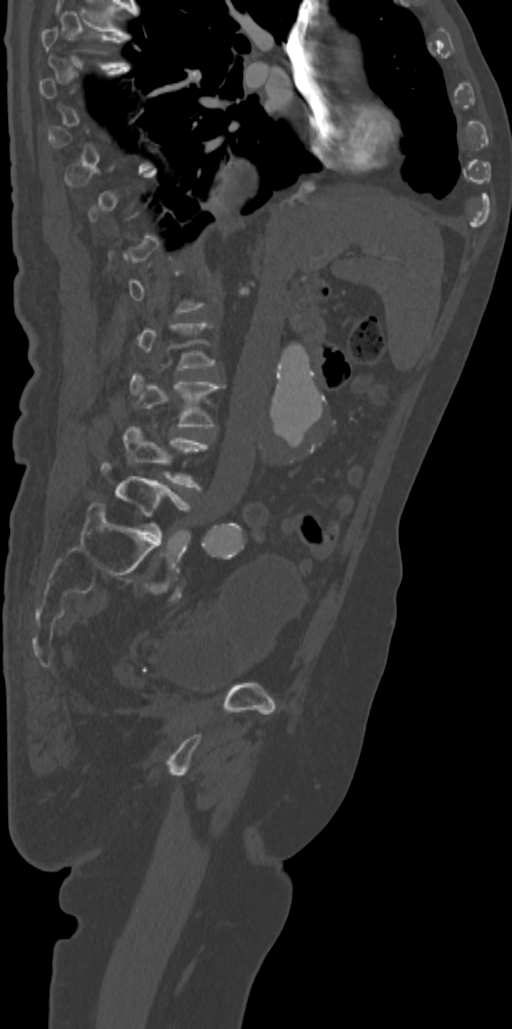
CT, spine; 342 mm image width; sagittal view; bone window
Box values are [left, top, right, bottom] in pixels.
A vertebra is boxed only from the first to the last slice where its cross-section is at least a third of its largest; slices outside that range leave it without a box.
{"vertebrae":{"L3":[130,373,222,426],"L4":[123,427,207,489],"L5":[102,463,189,538]}}